Spine CT — sagittal view — 512x659 px — the image is 403 mm wide — 10 vertebrae labeled in this scan
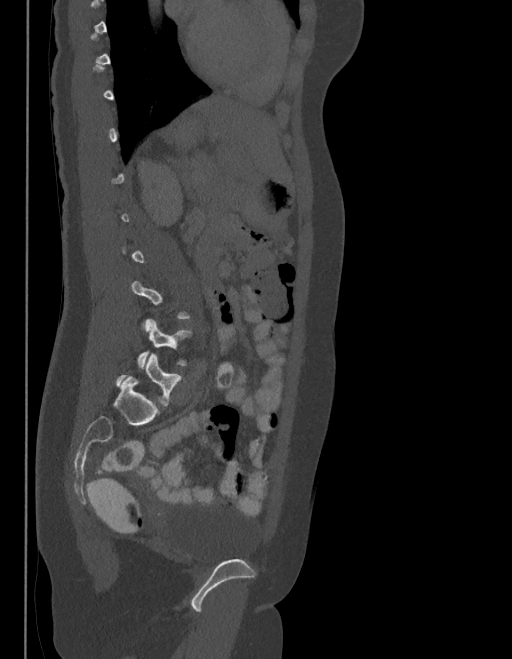 Not every vertebra on this slice has a box: a vertebra is boxed only from the first to the last slice where its cross-section is at least a third of its largest, and this slice is outside that range for at least one of them.
These labels give the spine a sixth lumbar vertebra, L6, below L5.
<vertebrae><v name="L5" x1="137" y1="318" x2="192" y2="368"/><v name="L6" x1="117" y1="353" x2="182" y2="406"/></vertebrae>